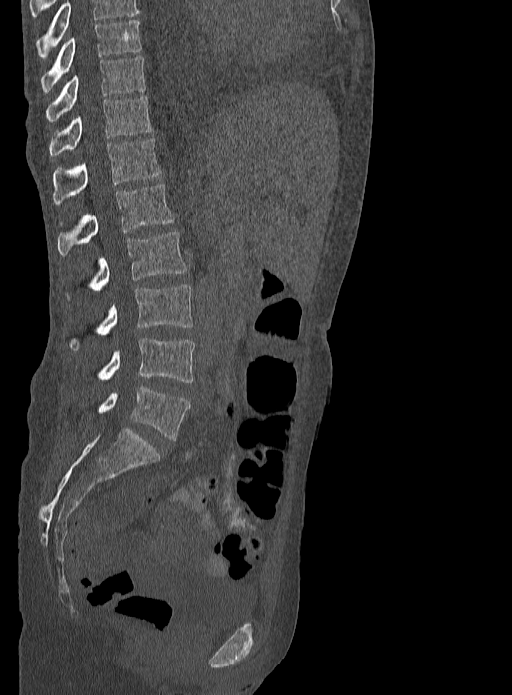
Spine computed tomography — sagittal view — Bone window (WL 400, WW 1800) — 333 mm across the image

Each box is [x1, y1, x2, y2] in pixels: top-left corner, then bottom-right corner.
The highest labeled vertebra in this scan is T9; the lowest is L5.
{"vertebrae":{"T9":[41,20,142,93],"T10":[46,55,145,122],"T11":[49,95,152,156],"T12":[54,138,160,205],"L1":[57,185,174,256],"L2":[89,232,186,291],"L3":[69,284,192,350],"L4":[98,338,194,382],"L5":[98,386,189,440]}}